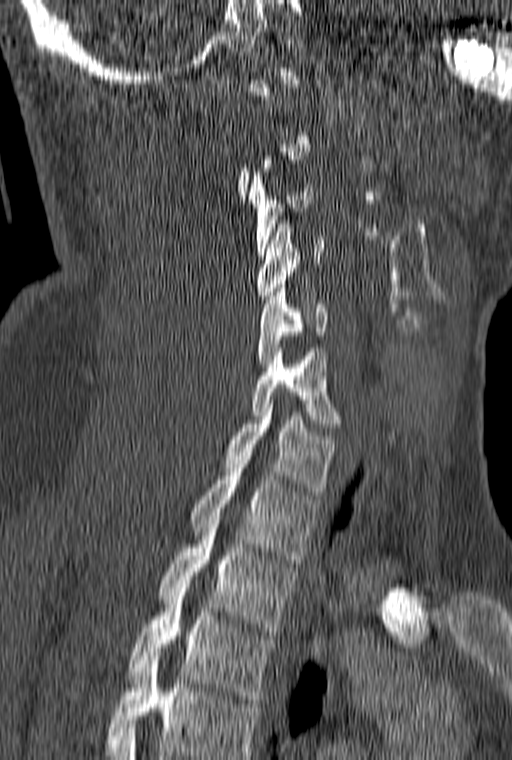

CT spine; sagittal view; image 160 mm wide
Each vertebra maps to its box as [x1, y1, x2, y2], the pixel coordinates of its top-left and bottom-right corners.
Not every vertebra on this slice has a box: a vertebra is boxed only from the first to the last slice where its cross-section is at least a third of its largest, and this slice is outside that range for at least one of them.
In this scan, the topmost labeled vertebra is C1 and the lowest is T3.
{"vertebrae":{"C3":[248,168,313,255],"C4":[257,220,323,299],"C5":[257,288,327,367],"C6":[251,344,343,427],"C7":[225,400,336,495],"T1":[190,464,318,563],"T2":[158,520,298,635],"T3":[129,592,275,703]}}